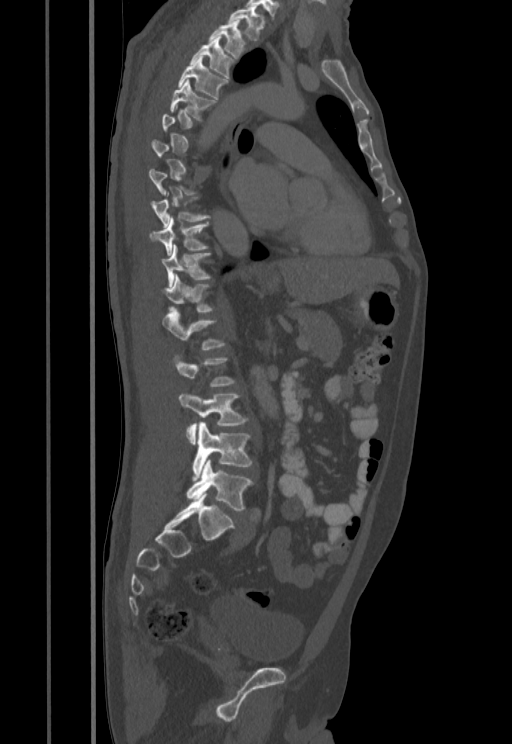

CT, spine — sagittal view — image width 455 mm — bone window
Box values are [left, top, right, bottom] in pixels.
A vertebra gets a box only on the slices from the first to the last where its cross-section is at least a third of its largest; on a slice outside that range it gets none.
{"vertebrae":{"L5":[187,460,253,510],"L4":[192,422,252,480],"L3":[179,392,248,443],"L2":[171,354,235,386],"L1":[162,308,225,349],"T12":[163,274,215,313],"T11":[161,245,212,286],"T10":[150,218,209,256],"T9":[152,191,210,228],"T5":[169,80,216,120],"T4":[178,59,228,99],"T3":[190,35,235,78],"T2":[208,21,244,59],"T1":[227,8,264,41]}}